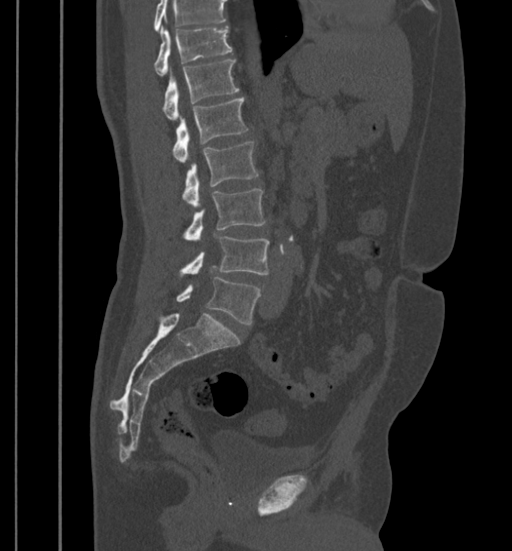 Computed tomography of the spine — sagittal reformat — image width 399 mm
Each box is [x1, y1, x2, y2] in pixels: top-left corner, then bottom-right corner.
No box is given to a vertebra that the top edge of the scan cuts off.
{"vertebrae":{"L5":[176,277,261,324],"L4":[180,236,268,276],"L3":[183,188,264,240],"L2":[182,141,258,207],"L1":[172,98,248,163],"T12":[163,59,239,120],"T11":[154,26,232,74]}}